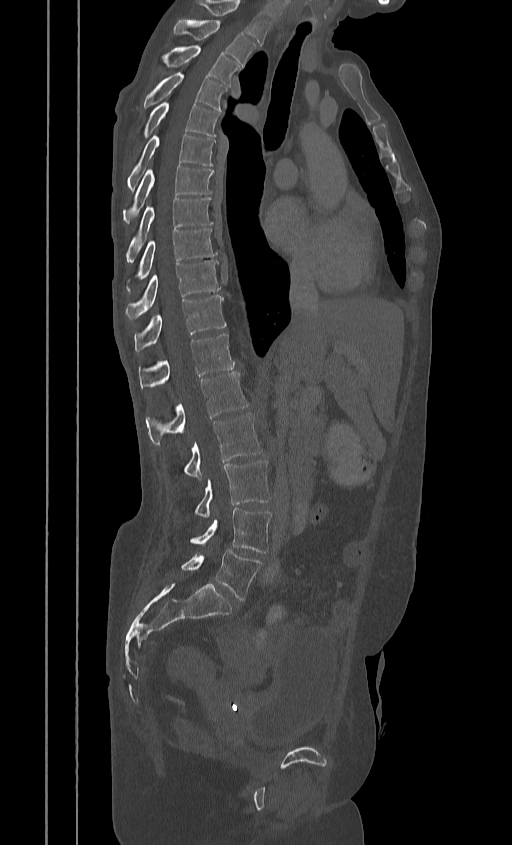 Spine CT · the image spans 384 mm across · sagittal view · bone window · 512x845 px
Box values are [left, top, right, bottom] in pixels.
In this scan, the topmost labeled vertebra is T2 and the lowest is L5.
{"vertebrae":{"L5":[181,549,261,600],"L4":[189,508,272,552],"L3":[193,460,271,516],"L2":[182,413,263,478],"L1":[145,372,248,444],"T12":[138,333,235,387],"T11":[134,295,225,351],"T10":[125,260,220,319],"T9":[125,228,216,291],"T8":[126,197,213,260],"T7":[122,165,213,224],"T6":[128,135,215,190],"T5":[142,101,220,136],"T4":[144,72,228,111],"T3":[164,45,239,87],"T2":[174,19,256,66]}}